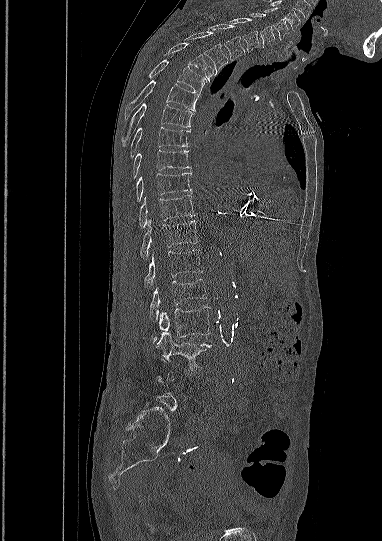
Spine computed tomography. sagittal reformat
Boxes: x1 y1 x2 y2 (pixel coords, space-separated).
Each vertebra is boxed only on the slices from the first to the last where its cross-section reaches a third of its largest, so a slice outside that range leaves it unboxed.
C5: 264 8 289 40
C6: 249 13 274 47
C7: 231 17 259 52
T1: 209 23 245 60
T2: 185 32 227 73
T3: 167 43 215 81
T4: 135 57 206 92
T5: 124 80 199 117
T6: 121 103 192 147
T7: 131 127 190 157
T8: 131 150 189 179
T9: 136 172 191 202
T10: 139 194 195 229
T11: 139 220 197 258
T12: 144 249 202 287
L1: 149 279 206 321
L2: 152 306 210 343
L3: 156 332 211 366